Spine CT; sagittal plane, index 202; image width 190 mm; scan covers 12 annotated vertebrae
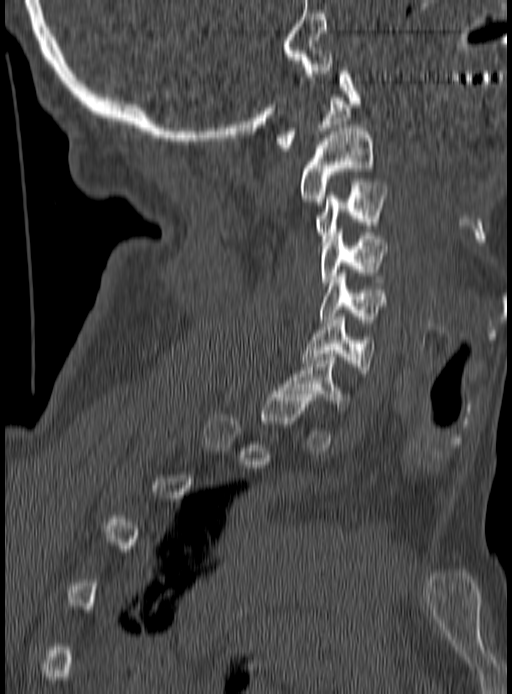 Box edges are left/top/right/bottom in pixels.
A vertebra is boxed only from the first to the last slice where its cross-section is at least a third of its largest; slices outside that range leave it without a box.
| vertebra | x1 | y1 | x2 | y2 |
|---|---|---|---|---|
| C1 | 277 | 67 | 360 | 151 |
| C2 | 300 | 128 | 372 | 204 |
| C3 | 316 | 182 | 386 | 242 |
| C4 | 322 | 229 | 387 | 285 |
| C5 | 319 | 273 | 385 | 322 |
| C6 | 303 | 317 | 374 | 376 |
| C7 | 279 | 354 | 345 | 413 |